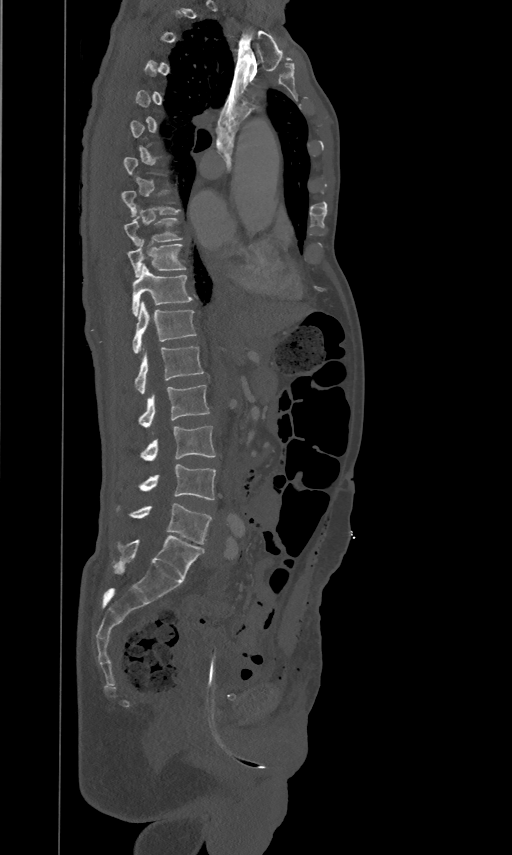 Spine CT — sagittal view — 512x855 px — the image is 461 mm wide
Each vertebra is boxed only on the slices from the first to the last where its cross-section reaches a third of its largest, so a slice outside that range leaves it unboxed.
<vertebrae><v name="T9" x1="123" y1="217" x2="180" y2="244"/><v name="T10" x1="127" y1="239" x2="185" y2="275"/><v name="T11" x1="132" y1="263" x2="191" y2="316"/><v name="T12" x1="132" y1="301" x2="195" y2="352"/><v name="L1" x1="135" y1="345" x2="203" y2="393"/><v name="L2" x1="138" y1="384" x2="209" y2="427"/><v name="L3" x1="141" y1="425" x2="215" y2="461"/><v name="L4" x1="140" y1="464" x2="215" y2="500"/><v name="L5" x1="131" y1="503" x2="211" y2="543"/></vertebrae>